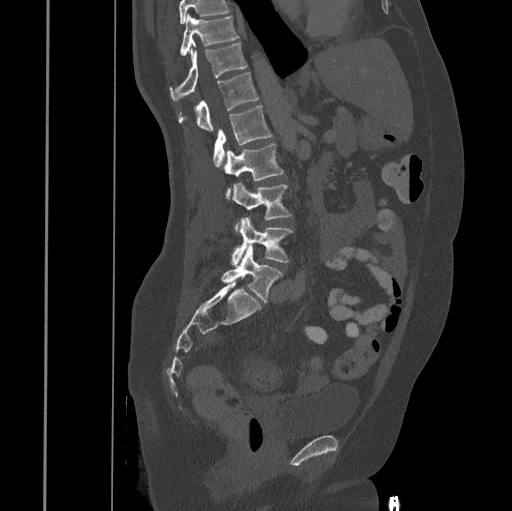
Computed tomography of the spine — sagittal view — 512x511 px
Bounding boxes as [x1, y1, x2, y2] in pixel coordinates.
Vertebrae that run past the top of the scan are left unlabeled.
T10: [181, 13, 238, 55]
T11: [170, 42, 247, 100]
T12: [178, 72, 259, 132]
L1: [213, 106, 273, 166]
L2: [224, 143, 283, 200]
L3: [233, 182, 292, 232]
L4: [231, 217, 292, 266]
L5: [221, 244, 283, 302]